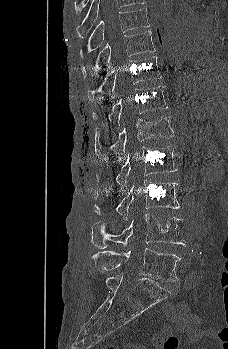 Spine computed tomography · sagittal view · 228x349 px
Boxes: x1 y1 x2 y2 (pixel coords, space-separated).
Vertebra bounding boxes:
- L5: 91 248 180 281
- L4: 91 213 186 248
- L3: 93 180 181 221
- L2: 96 145 178 188
- L1: 95 116 173 158
- T12: 93 85 168 127
- T11: 87 56 162 101
- T10: 82 30 155 77
- T9: 80 7 149 57